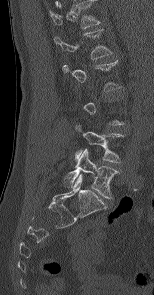
CT, spine · sagittal reformat
Each box is [x1, y1, x2, y2] in pixels: top-left corner, then bottom-right corner.
Not every vertebra on this slice has a box: a vertebra is boxed only from the first to the last slice where its cross-section is at least a third of its largest, and this slice is outside that range for at least one of them.
This scan's labels start at L1 at the top and end at L5 at the bottom.
{"vertebrae":{"L5":[64,149,117,198],"L4":[75,125,121,163],"L1":[55,29,111,59]}}